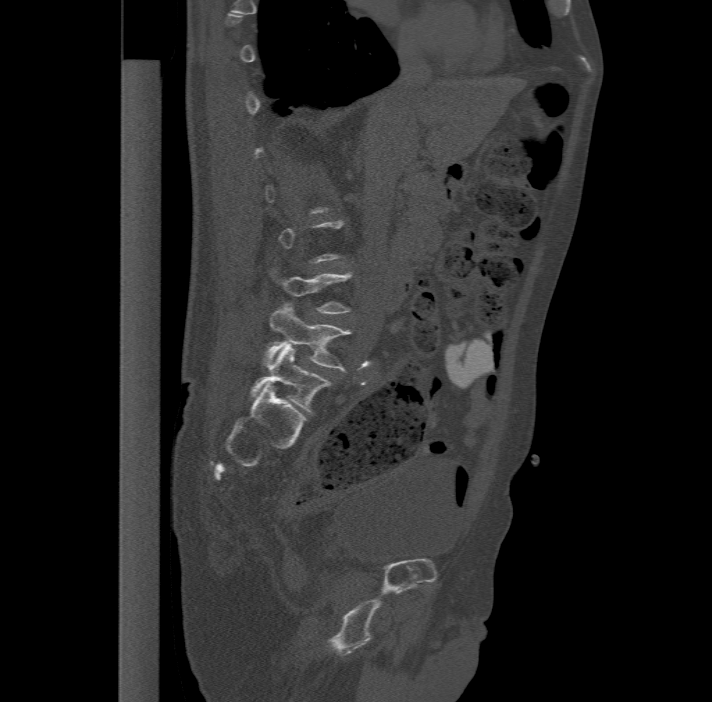 Spine computed tomography — sagittal view — W/L 1800/400 HU — the image spans 477 mm across
A vertebra is boxed only from the first to the last slice where its cross-section is at least a third of its largest; slices outside that range leave it without a box.
These labels give the spine a sixth lumbar vertebra, L6, below L5.
<vertebrae><v name="L6" x1="250" y1="344" x2="330" y2="413"/><v name="L5" x1="263" y1="304" x2="351" y2="370"/></vertebrae>